Spine CT; sagittal plane, index 210; bone window
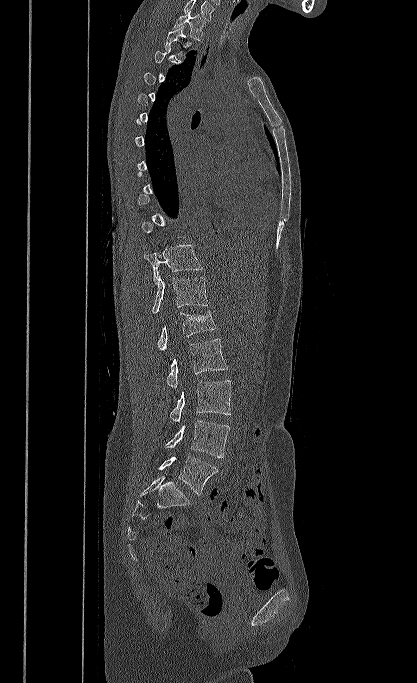 Boxes are (x1, y1, x2, y2) in pixels. A vertebra gets a box only on the slices from the first to the last where its cross-section is at least a third of its largest; on a slice outside that range it gets none. This scan's labels start at T1 at the top and end at L5 at the bottom. The labeled vertebrae in this slice are: T1 at (174, 11, 205, 40), T2 at (165, 26, 192, 58), T11 at (144, 245, 202, 282), T12 at (152, 276, 208, 314), L1 at (157, 311, 216, 350), L2 at (167, 339, 227, 388), L3 at (170, 380, 231, 422), L4 at (165, 420, 230, 457), L5 at (158, 456, 218, 495).